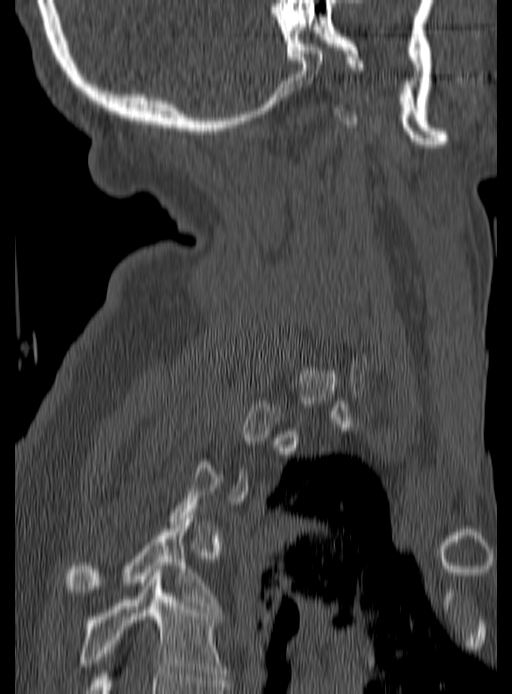

CT spine — 190 mm across the image — sagittal reformat — 512x694 px. Boxes are (x1, y1, x2, y2) in pixels.
Not every vertebra on this slice has a box: a vertebra is boxed only from the first to the last slice where its cross-section is at least a third of its largest, and this slice is outside that range for at least one of them.
Vertebra bounding boxes:
- T5: (79, 573, 226, 679)
- T4: (66, 519, 218, 609)